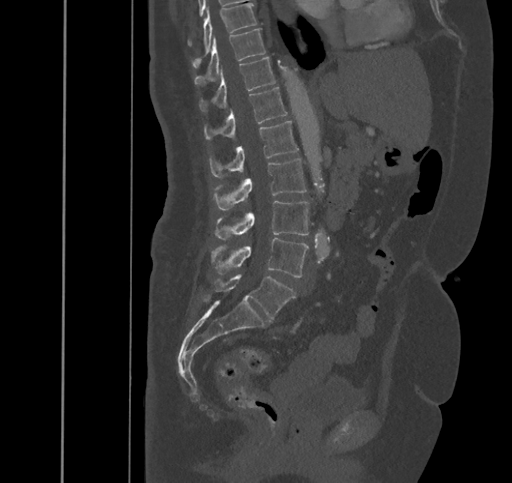 CT spine · sagittal view
Boxes: x1 y1 x2 y2 (pixel coords, space-separated). The labeled vertebrae in this slice are: L5 at 215 274 296 319, L4 at 212 237 308 277, L3 at 215 201 308 239, L2 at 214 158 306 210, L1 at 210 121 298 177, T12 at 205 87 287 140, T11 at 200 57 275 110, T10 at 194 28 265 85, T9 at 192 3 255 67.